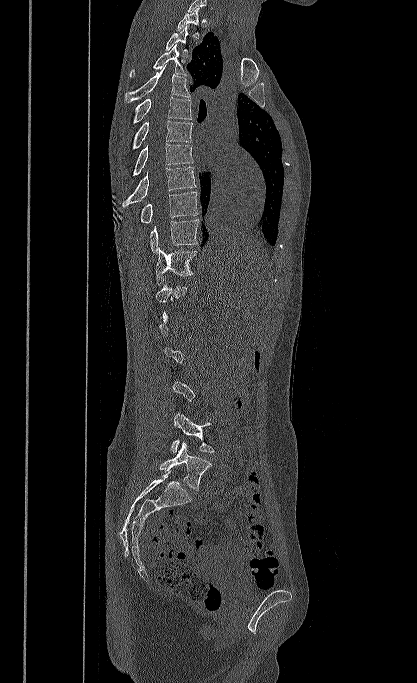 Spine CT. image width 417 mm. sagittal view. 417x683 px
Columns x1, y1, x2, y2 give each box's top-left and bottom-right pixels.
A vertebra gets a box only on the slices from the first to the last where its cross-section is at least a third of its largest; on a slice outside that range it gets none.
| vertebra | x1 | y1 | x2 | y2 |
|---|---|---|---|---|
| T1 | 177 | 8 | 200 | 39 |
| T2 | 165 | 25 | 188 | 56 |
| T3 | 129 | 44 | 187 | 77 |
| T4 | 125 | 64 | 190 | 102 |
| T5 | 132 | 97 | 191 | 124 |
| T6 | 132 | 120 | 192 | 150 |
| T7 | 133 | 143 | 193 | 175 |
| T8 | 122 | 167 | 196 | 207 |
| T9 | 140 | 191 | 198 | 223 |
| T10 | 150 | 219 | 199 | 252 |
| T11 | 155 | 247 | 197 | 285 |
| L4 | 171 | 412 | 214 | 453 |
| L5 | 159 | 442 | 211 | 490 |